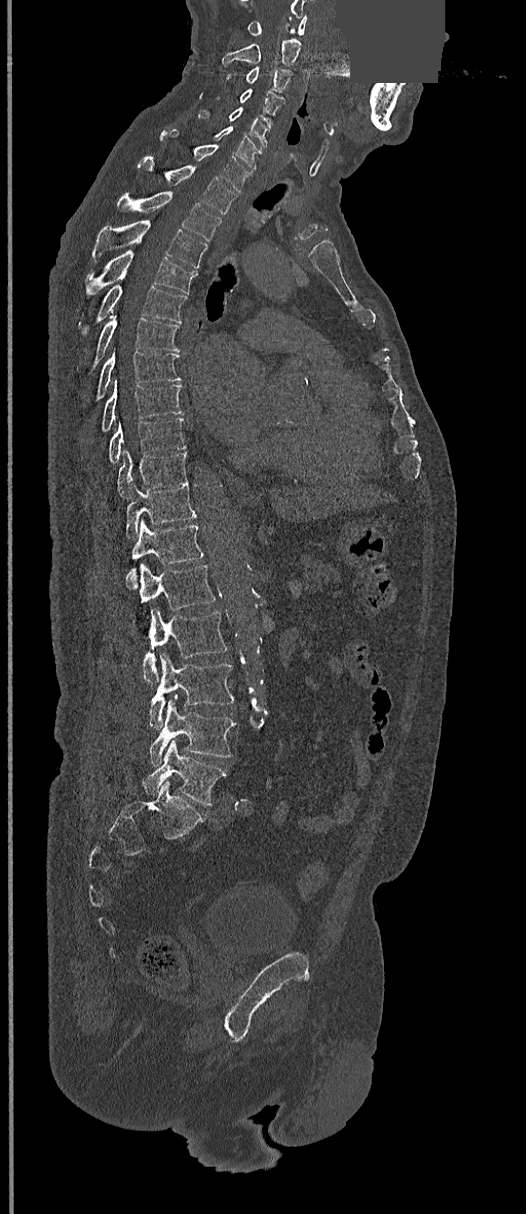

Computed tomography of the spine — sagittal view — bone window — a region is masked with a constant gray value
<vertebrae><v name="C1" x1="246" y1="16" x2="307" y2="35"/><v name="C2" x1="223" y1="39" x2="300" y2="68"/><v name="C3" x1="245" y1="66" x2="291" y2="93"/><v name="C4" x1="216" y1="89" x2="283" y2="116"/><v name="C5" x1="199" y1="107" x2="270" y2="148"/><v name="C6" x1="214" y1="126" x2="262" y2="170"/><v name="C7" x1="160" y1="131" x2="251" y2="192"/><v name="T1" x1="139" y1="159" x2="236" y2="213"/><v name="T2" x1="115" y1="191" x2="222" y2="240"/><v name="T3" x1="92" y1="220" x2="207" y2="269"/><v name="T4" x1="84" y1="250" x2="197" y2="299"/><v name="T5" x1="78" y1="284" x2="187" y2="336"/><v name="T6" x1="76" y1="316" x2="180" y2="376"/><v name="T7" x1="94" y1="351" x2="180" y2="403"/><v name="T8" x1="100" y1="381" x2="183" y2="433"/><v name="T9" x1="107" y1="417" x2="186" y2="463"/><v name="T10" x1="117" y1="450" x2="189" y2="498"/><v name="T11" x1="125" y1="483" x2="196" y2="538"/><v name="T12" x1="125" y1="520" x2="204" y2="588"/><v name="L1" x1="135" y1="564" x2="216" y2="635"/><v name="L2" x1="143" y1="609" x2="227" y2="683"/><v name="L3" x1="148" y1="653" x2="234" y2="729"/><v name="L4" x1="148" y1="698" x2="236" y2="766"/><v name="L5" x1="143" y1="740" x2="229" y2="806"/></vertebrae>